CT; sagittal reformat; bone-window reconstruction; 512x923 px; scan covers 11 annotated vertebrae
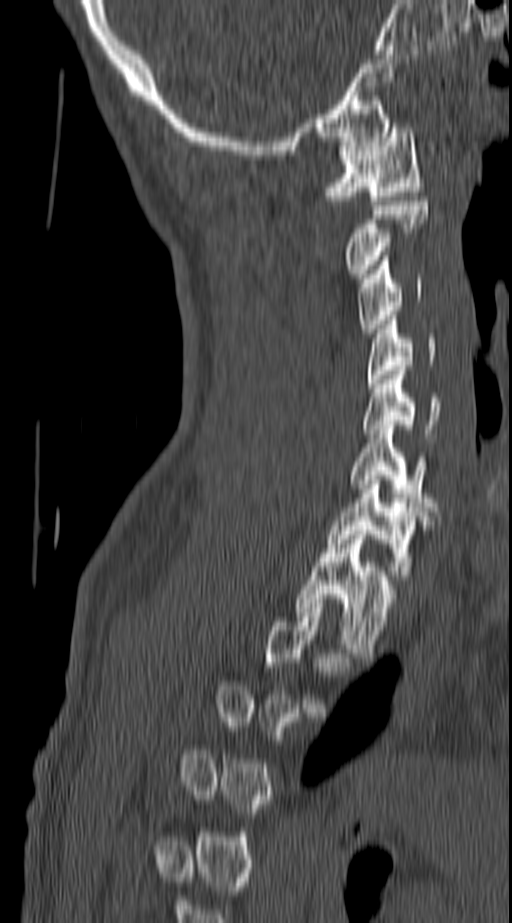
Bounding boxes as [x1, y1, x2, y2] in pixel coordinates.
Not every vertebra on this slice has a box: a vertebra is boxed only from the first to the last slice where its cross-section is at least a third of its largest, and this slice is outside that range for at least one of them.
Vertebra bounding boxes:
- C1: [323, 123, 424, 200]
- C2: [345, 201, 428, 278]
- C3: [358, 256, 421, 333]
- C4: [367, 320, 436, 388]
- C5: [363, 370, 439, 438]
- C6: [349, 425, 436, 511]
- C7: [327, 480, 426, 580]
- T1: [294, 530, 395, 657]